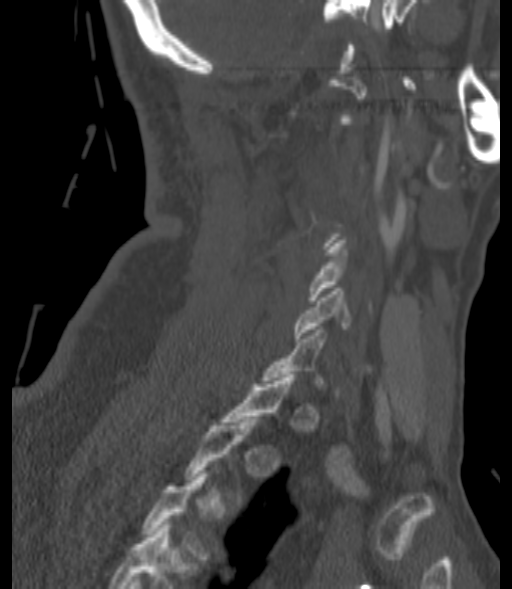
Spine computed tomography; sagittal view; bone window; the image spans 200 mm across; 512x589 px

Box edges are left/top/right/bottom in pixels. Not every vertebra on this slice has a box: a vertebra is boxed only from the first to the last slice where its cross-section is at least a third of its largest, and this slice is outside that range for at least one of them. Vertebrae labeled: C5 at left=308, top=240, right=345, bottom=300, C6 at left=294, top=288, right=348, bottom=338.